Spine computed tomography. sagittal plane, index 257. 342 mm wide. 512x642 px
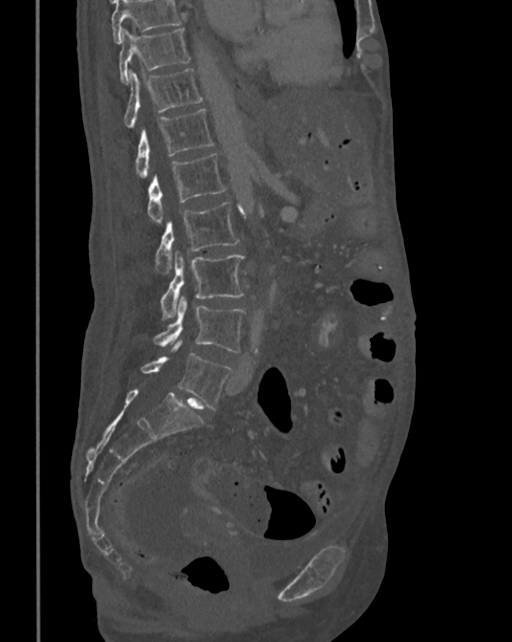

Each box given as x1,y1,x2,y2. No box is given to a vertebra that the top edge of the scan cuts off. 8 vertebrae labeled — T10 at x1=120, y1=29, x2=190, y2=83; T11 at x1=124, y1=68, x2=204, y2=127; T12 at x1=134, y1=108, x2=213, y2=177; L1 at x1=148, y1=153, x2=226, y2=222; L2 at x1=155, y1=202, x2=240, y2=274; L3 at x1=160, y1=252, x2=244, y2=319; L4 at x1=154, y1=296, x2=244, y2=353; L5 at x1=140, y1=341, x2=231, y2=410.